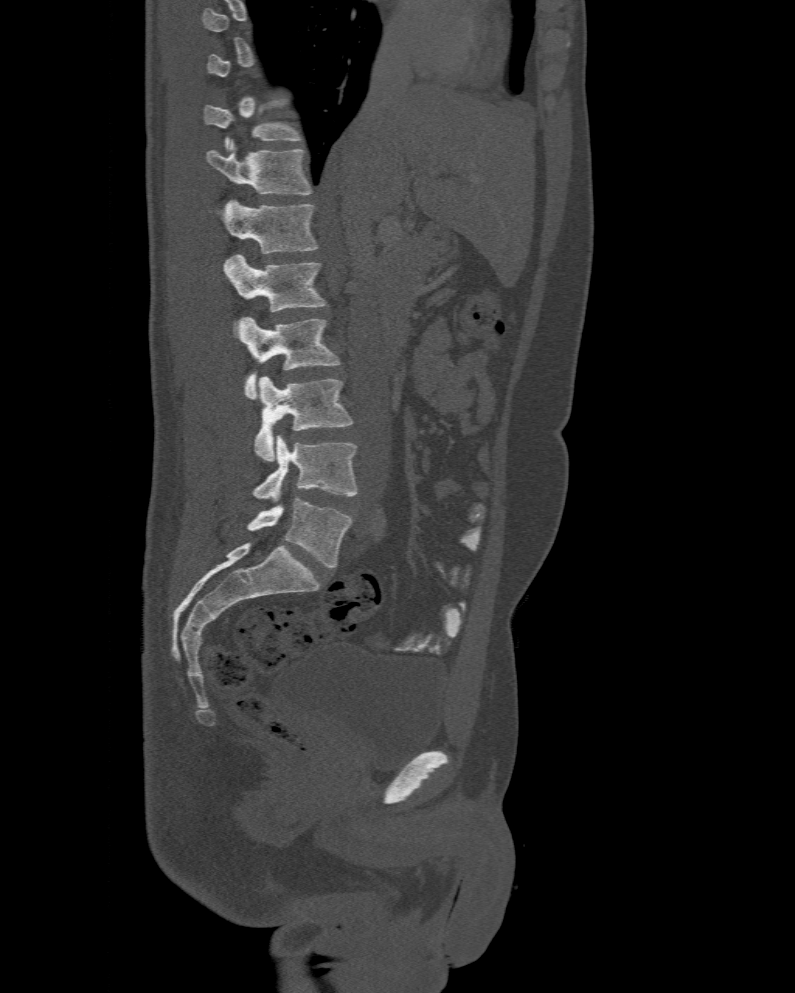

Spine CT — sagittal view — 477 mm across the image — bone-window reconstruction

Box edges are left/top/right/bottom in pixels.
A vertebra is boxed only from the first to the last slice where its cross-section is at least a third of its largest; slices outside that range leave it without a box.
The labels name a sixth lumbar vertebra for this spine: L6, after L5.
| vertebra | x1 | y1 | x2 | y2 |
|---|---|---|---|---|
| T11 | 203 | 98 | 302 | 149 |
| T12 | 207 | 139 | 313 | 194 |
| L1 | 224 | 198 | 319 | 254 |
| L2 | 222 | 255 | 325 | 334 |
| L3 | 238 | 316 | 341 | 399 |
| L4 | 255 | 377 | 353 | 461 |
| L5 | 253 | 435 | 358 | 501 |
| L6 | 247 | 498 | 353 | 567 |